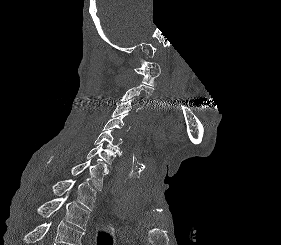

CT; sagittal view; bone-window reconstruction; 281x245 px; an area of the scan was removed and filled with constant pixels
Coordinates as <box>x1,y1,x2,y2</box>.
Not every vertebra on this slice has a box: a vertebra is boxed only from the first to the last slice where its cross-section is at least a third of its largest, and this slice is outside that range for at least one of them.
Where the bottom of the scan cuts through a vertebra, that vertebra gets no label or box.
Vertebra bounding boxes:
- C1: <box>134,59,160,86</box>
- C3: <box>111,99,140,117</box>
- C4: <box>102,113,130,131</box>
- C5: <box>94,130,122,155</box>
- C6: <box>86,143,121,164</box>
- C7: <box>48,157,108,190</box>
- T1: <box>52,179,96,210</box>
- T2: <box>37,192,89,230</box>